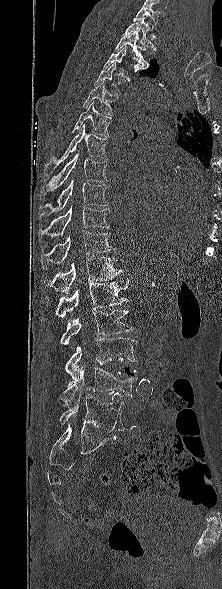
CT, spine; sagittal reformat; Bone window (WL 400, WW 1800); 222x589 px
Bounding boxes as [x1, y1, x2, y2] in pixel coordinates. The highest labeled vertebra in this scan is T1; the lowest is L5. The labeled vertebrae in this slice are: T1 at [121, 17, 156, 50], T2 at [114, 31, 149, 69], T3 at [103, 46, 143, 74], T4 at [94, 62, 119, 96], T5 at [82, 80, 117, 114], T6 at [72, 101, 111, 136], T7 at [44, 124, 108, 176], T8 at [41, 151, 107, 195], T9 at [39, 178, 108, 216], T10 at [38, 205, 110, 238], T11 at [41, 230, 115, 266], T12 at [41, 257, 124, 294], L1 at [55, 279, 129, 317], L2 at [60, 310, 134, 344], L3 at [65, 337, 136, 382], L4 at [63, 366, 137, 407], L5 at [59, 394, 124, 431].